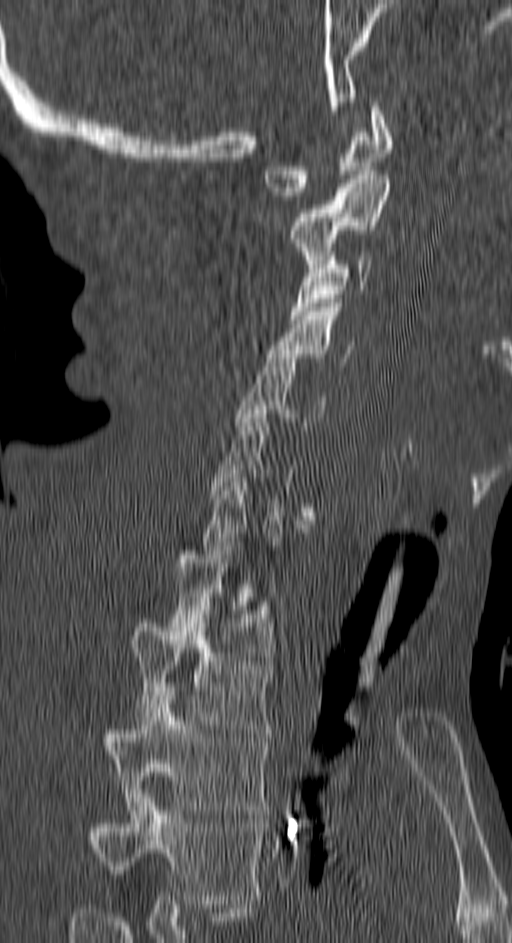
Spine CT. 150 mm across the image. sagittal view. 512x943 px
Box edges are left/top/right/bottom in pixels.
A vertebra is boxed only from the first to the last slice where its cross-section is at least a third of its largest; slices outside that range leave it without a box.
This scan's labels start at C1 at the top and end at T4 at the bottom.
C1: left=264, top=102, right=393, bottom=200
C2: left=288, top=175, right=389, bottom=268
C3: left=291, top=252, right=372, bottom=319
C4: left=267, top=303, right=355, bottom=366
C5: left=235, top=354, right=324, bottom=430
C7: left=203, top=469, right=307, bottom=554
T1: left=168, top=542, right=274, bottom=660
T2: left=131, top=614, right=271, bottom=733
T3: left=104, top=691, right=270, bottom=814
T4: left=90, top=789, right=263, bottom=904